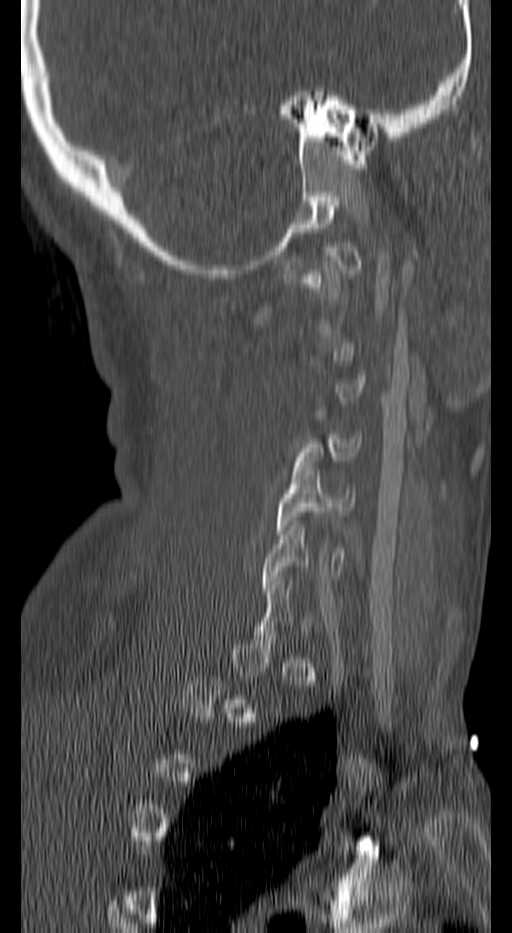 CT spine · sagittal view · bone-window reconstruction · 512x933 px

Boxes: x1:y1:x2:y2 in pixels.
A vertebra gets a box only on the slices from the first to the last where its cross-section is at least a third of its largest; on a slice outside that range it gets none.
C6: 261:521:345:589
C5: 276:466:355:534
C4: 294:434:362:470